CT spine. Sagittal slice 280/512. the image spans 336 mm across
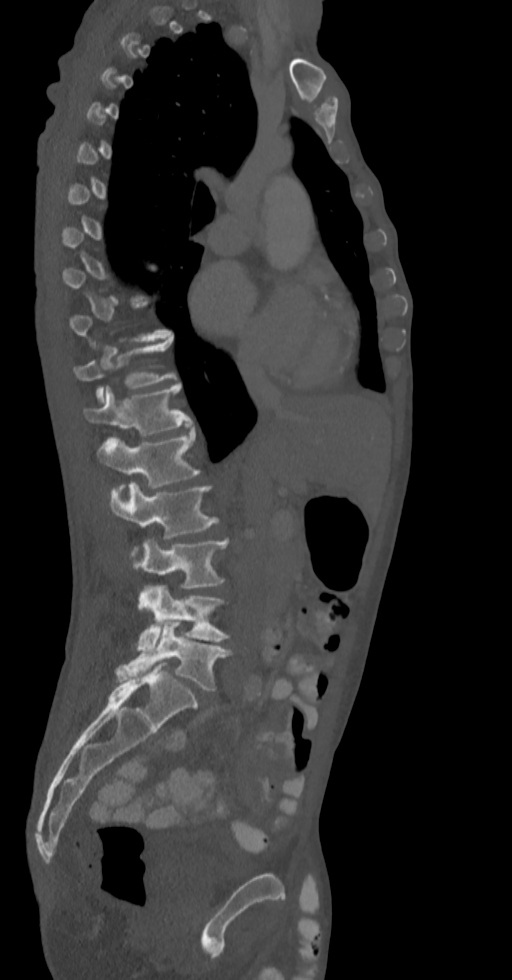

Each row gives a vertebra's box as x1, y1, x2, y2 in pixels: top-left corner, then bottom-right corner.
Each vertebra is boxed only on the slices from the first to the last where its cross-section reaches a third of its largest, so a slice outside that range leaves it unboxed.
| vertebra | x1 | y1 | x2 | y2 |
|---|---|---|---|---|
| T11 | 74 | 338 | 175 | 403 |
| T12 | 84 | 384 | 192 | 436 |
| L1 | 97 | 431 | 200 | 488 |
| L2 | 111 | 482 | 218 | 566 |
| L3 | 138 | 538 | 227 | 589 |
| L4 | 137 | 584 | 229 | 654 |
| L5 | 116 | 622 | 230 | 691 |